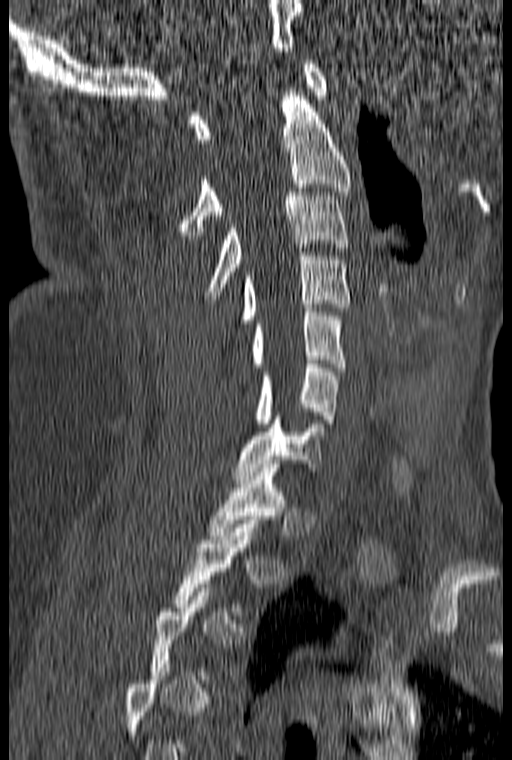

CT, spine. the image spans 160 mm across. sagittal view. 512x760 px
Columns x1, y1, x2, y2 give each box's top-left and bottom-right pixels.
Not every vertebra on this slice has a box: a vertebra is boxed only from the first to the last slice where its cross-section is at least a third of its largest, and this slice is outside that range for at least one of them.
| vertebra | x1 | y1 | x2 | y2 |
|---|---|---|---|---|
| T1 | 208 | 464 | 285 | 539 |
| C7 | 234 | 416 | 323 | 479 |
| C6 | 255 | 360 | 336 | 427 |
| C5 | 250 | 308 | 345 | 371 |
| C4 | 241 | 256 | 349 | 323 |
| C3 | 206 | 192 | 349 | 299 |
| C2 | 178 | 84 | 352 | 235 |
| C1 | 189 | 60 | 328 | 143 |